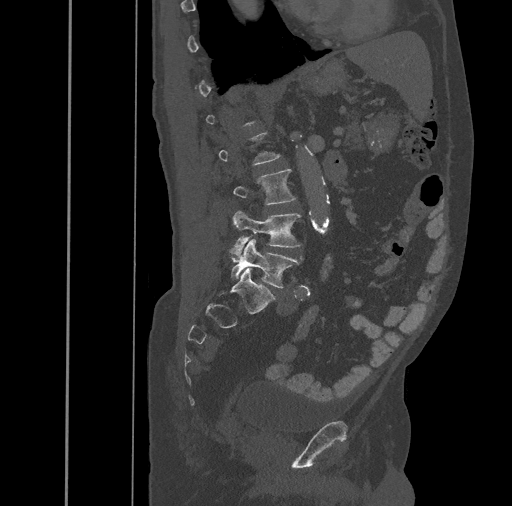
CT spine — sagittal view — W/L 1800/400 HU — the image spans 461 mm across
Each box is [x1, y1, x2, y2] in pixels: top-left corner, then bottom-right corner.
Each vertebra is boxed only on the slices from the first to the last where its cross-section reaches a third of its largest, so a slice outside that range leaves it unboxed.
{"vertebrae":{"L3":[233,168,295,205],"L4":[229,211,301,256],"L5":[231,238,301,287]}}